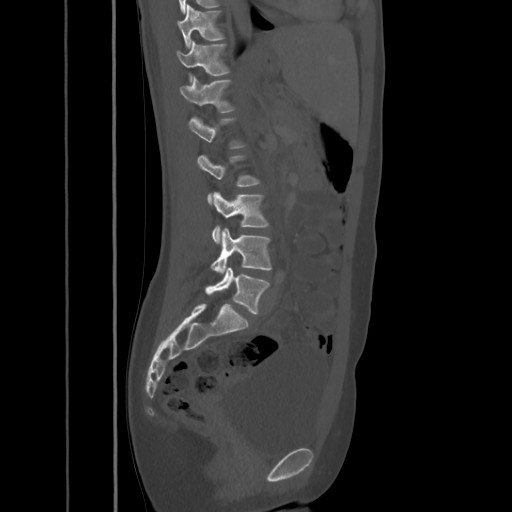
Spine CT · sagittal reformat · the image is 425 mm wide. Box edges are left/top/right/bottom in pixels.
| vertebra | x1 | y1 | x2 | y2 |
|---|---|---|---|---|
| T10 | 178 | 5 | 226 | 47 |
| T11 | 176 | 40 | 230 | 80 |
| T12 | 180 | 75 | 235 | 112 |
| L1 | 189 | 116 | 246 | 148 |
| L2 | 198 | 154 | 261 | 204 |
| L3 | 211 | 192 | 269 | 244 |
| L4 | 211 | 228 | 271 | 273 |
| L5 | 205 | 268 | 269 | 314 |